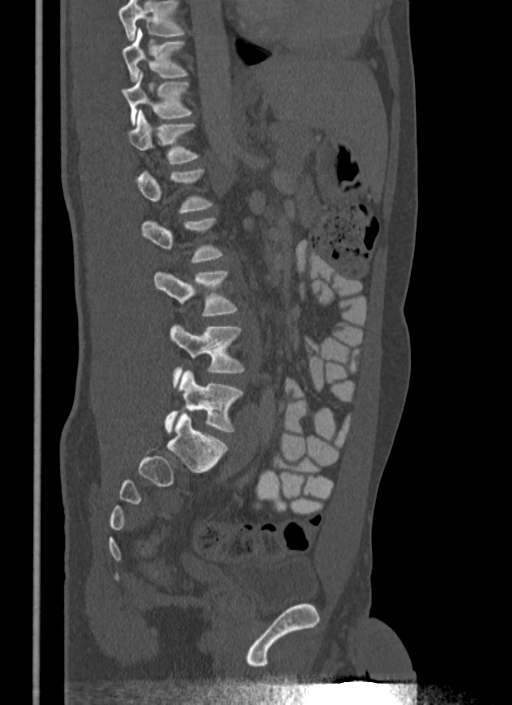 Computed tomography of the spine — sagittal view — 512x705 px

Coordinates as <box>x1,y1,x2,y2</box>.
A vertebra is boxed only from the first to the last slice where its cross-section is at least a third of its largest; slices outside that range leave it without a box.
Vertebrae that run past the top of the scan are left unlabeled.
Vertebra bounding boxes:
- T10: <box>122,29,187,82</box>
- T11: <box>122,72,191,124</box>
- T12: <box>126,110,198,163</box>
- L2: <box>141,217,223,263</box>
- L3: <box>153,271,237,315</box>
- L4: <box>168,325,244,383</box>
- L5: <box>164,370,243,433</box>